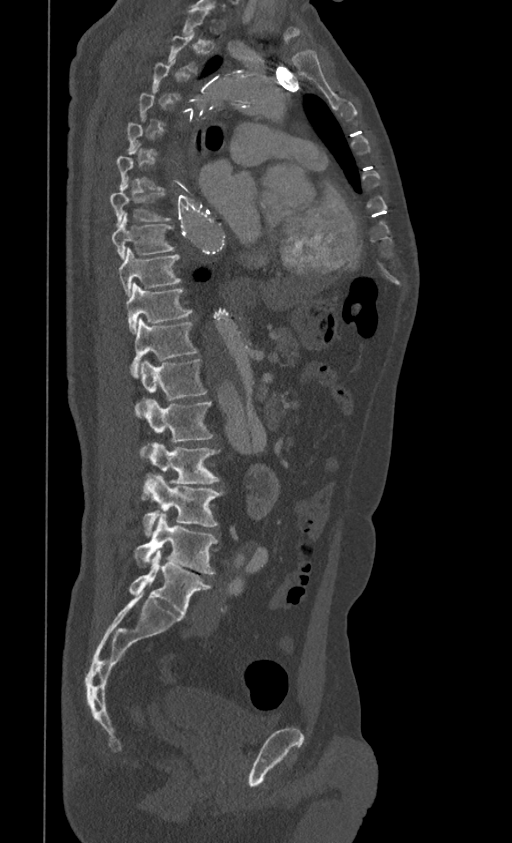

Spine computed tomography; image width 399 mm; sagittal view

Bounding boxes as [x1, y1, x2, y2] in pixel coordinates.
A vertebra is boxed only from the first to the last slice where its cross-section is at least a third of its largest; slices outside that range leave it without a box.
L5: [129, 550, 211, 615]
L4: [135, 512, 217, 574]
L3: [142, 474, 222, 535]
L2: [142, 441, 220, 499]
L1: [141, 400, 213, 456]
T12: [136, 359, 207, 412]
T11: [131, 319, 198, 377]
T10: [126, 282, 191, 333]
T9: [118, 247, 181, 296]
T8: [111, 212, 175, 258]
T7: [109, 192, 170, 225]